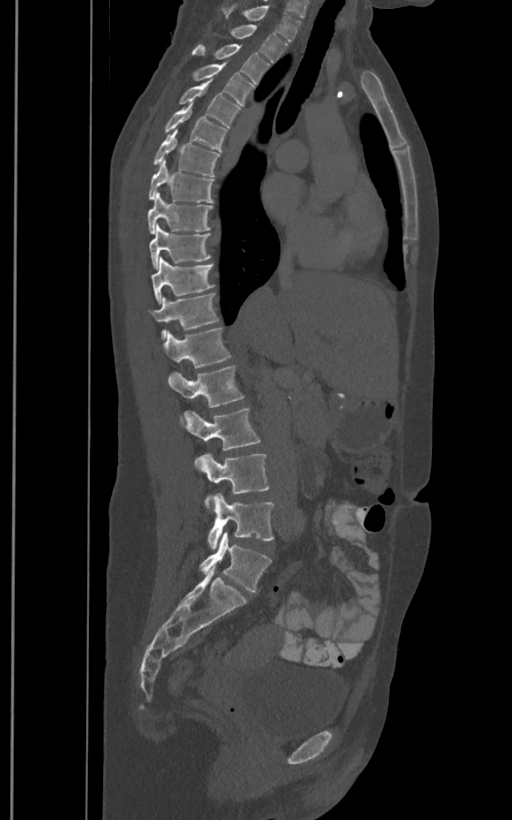
Spine CT. sagittal reformat
In the table, x1 and y1 are a box's top-left corner and x2 and y2 its bottom-right corner, in pixels.
The labels name a sixth lumbar vertebra for this spine: L6, after L5.
| vertebra | x1 | y1 | x2 | y2 |
|---|---|---|---|---|
| T1 | 221 | 5 | 301 | 42 |
| T2 | 229 | 24 | 287 | 62 |
| T3 | 192 | 44 | 270 | 83 |
| T4 | 192 | 62 | 255 | 105 |
| T5 | 179 | 82 | 241 | 127 |
| T6 | 164 | 105 | 228 | 151 |
| T7 | 152 | 129 | 220 | 176 |
| T8 | 148 | 159 | 214 | 203 |
| T9 | 147 | 194 | 213 | 233 |
| T10 | 150 | 223 | 211 | 269 |
| T11 | 151 | 257 | 215 | 302 |
| T12 | 152 | 293 | 220 | 338 |
| L1 | 164 | 327 | 231 | 368 |
| L2 | 168 | 366 | 245 | 426 |
| L3 | 184 | 408 | 260 | 449 |
| L4 | 194 | 453 | 269 | 510 |
| L5 | 207 | 493 | 274 | 550 |
| L6 | 200 | 532 | 271 | 591 |